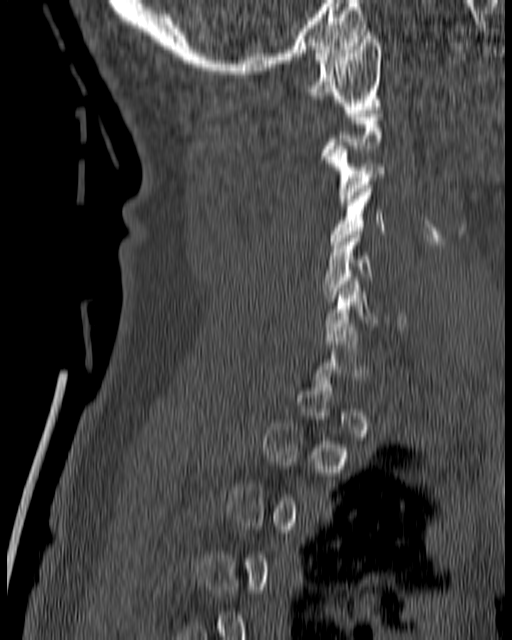

CT — sagittal reformat

Not every vertebra on this slice has a box: a vertebra is boxed only from the first to the last slice where its cross-section is at least a third of its largest, and this slice is outside that range for at least one of them.
<vertebrae><v name="C1" x1="303" y1="32" x2="381" y2="109"/><v name="C3" x1="322" y1="146" x2="387" y2="205"/><v name="C4" x1="331" y1="178" x2="387" y2="244"/><v name="C5" x1="321" y1="231" x2="373" y2="301"/><v name="C6" x1="324" y1="277" x2="406" y2="333"/></vertebrae>